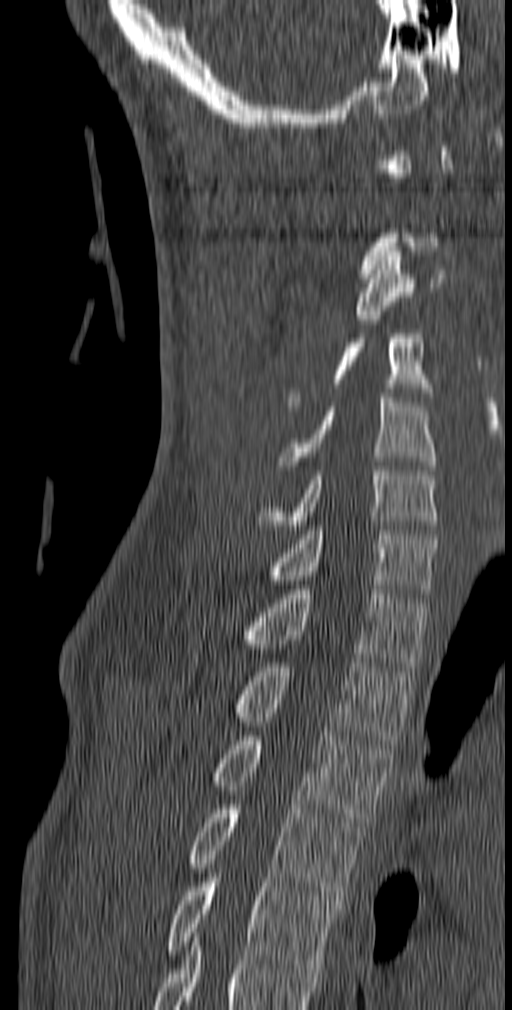
Spine CT. sagittal view
Boxes: x1 y1 x2 y2 (pixel coords, space-separated).
Not every vertebra on this slice has a box: a vertebra is boxed only from the first to the last slice where its cross-section is at least a third of its largest, and this slice is outside that range for at least one of them.
T5: 166 864 337 973
T4: 188 805 365 900
T3: 213 731 393 826
T2: 231 658 412 744
T1: 243 585 427 671
C7: 267 526 437 598
C6: 256 466 439 529
C5: 278 393 436 470
C4: 288 306 433 406
C3: 356 247 445 324